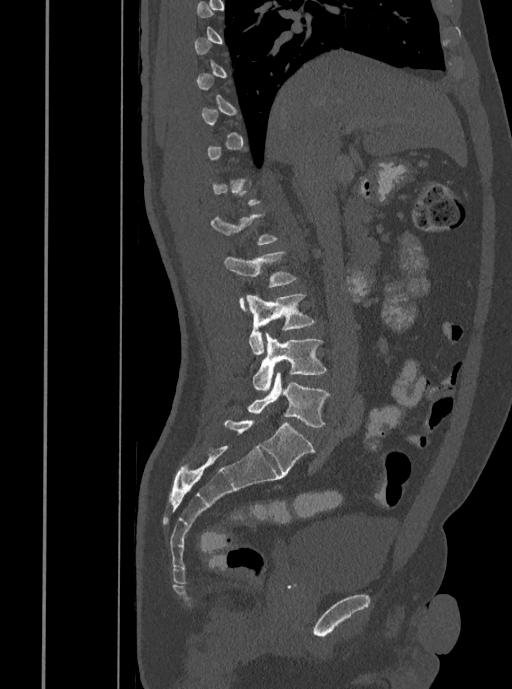

CT spine. sagittal view. Box edges are left/top/right/bottom in pixels. Each vertebra is boxed only on the slices from the first to the last where its cross-section reaches a third of its largest, so a slice outside that range leaves it unboxed. 4 vertebrae labeled — L2 at left=223, top=251, right=296, bottom=311; L3 at left=246, top=294, right=315, bottom=355; L4 at left=252, top=333, right=326, bottom=391; L5 at left=247, top=373, right=329, bottom=427.